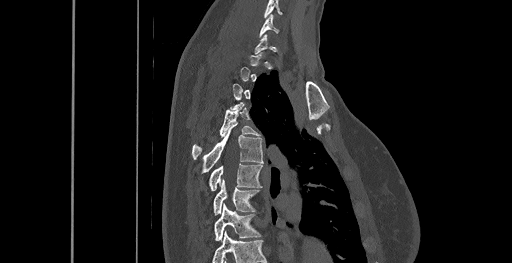
CT — sagittal view — bone-window reconstruction — 512x263 px
Boxes: x1:y1:x2:y2 in pixels.
Not every vertebra on this slice has a box: a vertebra is boxed only from the first to the last slice where its cross-section is at least a third of its largest, and this slice is outside that range for at least one of them.
Labels in this scan begin with C6 at the top and end with T8 at the bottom.
C6: 259:14:278:36
T4: 192:104:260:159
T5: 201:125:263:173
T6: 208:163:262:191
T7: 213:180:259:214
T8: 214:204:260:241